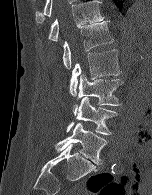 CT spine; sagittal view; W/L 1800/400 HU. Bounding boxes as [x1, y1, x2, y2] in pixel coordinates.
L5: [55, 122, 107, 164]
L4: [66, 97, 117, 135]
L3: [73, 74, 122, 115]
L2: [69, 49, 120, 96]
L1: [62, 21, 113, 69]
T12: [47, 0, 104, 41]